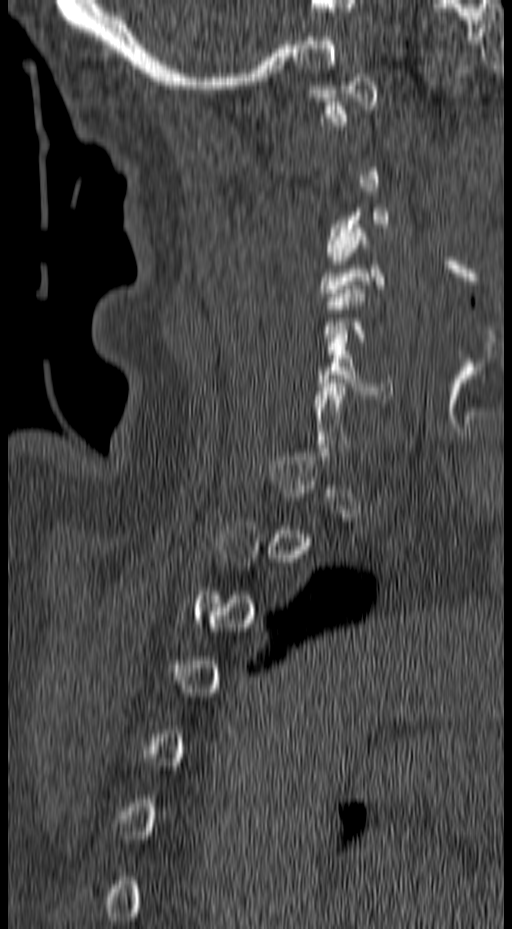
CT; sagittal view
In the table, x1 and y1 are a box's top-left corner and x2 and y2 its bottom-right corner, in pixels.
A vertebra gets a box only on the slices from the first to the last where its cross-section is at least a third of its largest; on a slice outside that range it gets none.
| vertebra | x1 | y1 | x2 | y2 |
|---|---|---|---|---|
| C1 | 305 | 73 | 378 | 125 |
| C3 | 325 | 204 | 391 | 264 |
| C6 | 314 | 334 | 392 | 398 |